Spine computed tomography; sagittal view; 512x973 px; scan covers 17 annotated vertebrae
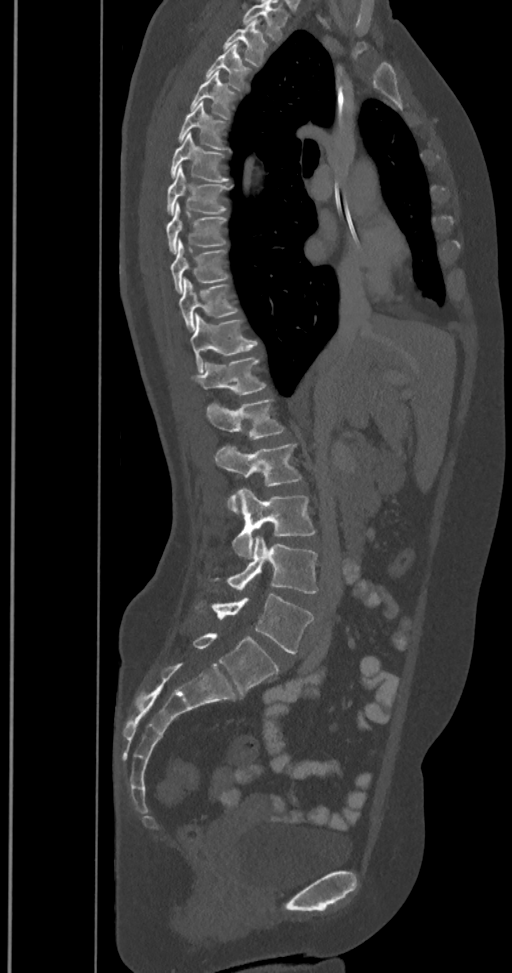
Boxes are given in columns x1, y1, x2, y2, the pixel coordinates of their top-left and bottom-right corners.
This scan's labels start at T2 at the top and end at L6 at the bottom.
The labels name a sixth lumbar vertebra for this spine: L6, after L5.
| vertebra | x1 | y1 | x2 | y2 |
|---|---|---|---|---|
| T2 | 224 | 21 | 268 | 66 |
| T3 | 206 | 45 | 250 | 90 |
| T4 | 190 | 71 | 236 | 119 |
| T5 | 178 | 101 | 228 | 150 |
| T6 | 169 | 132 | 228 | 181 |
| T7 | 167 | 167 | 231 | 215 |
| T8 | 167 | 204 | 227 | 253 |
| T9 | 169 | 240 | 228 | 294 |
| T10 | 178 | 278 | 239 | 332 |
| T11 | 190 | 313 | 258 | 372 |
| T12 | 191 | 357 | 265 | 394 |
| L1 | 206 | 400 | 284 | 440 |
| L2 | 215 | 444 | 302 | 512 |
| L3 | 232 | 487 | 315 | 559 |
| L4 | 216 | 536 | 318 | 593 |
| L5 | 212 | 594 | 313 | 653 |
| L6 | 193 | 633 | 280 | 694 |